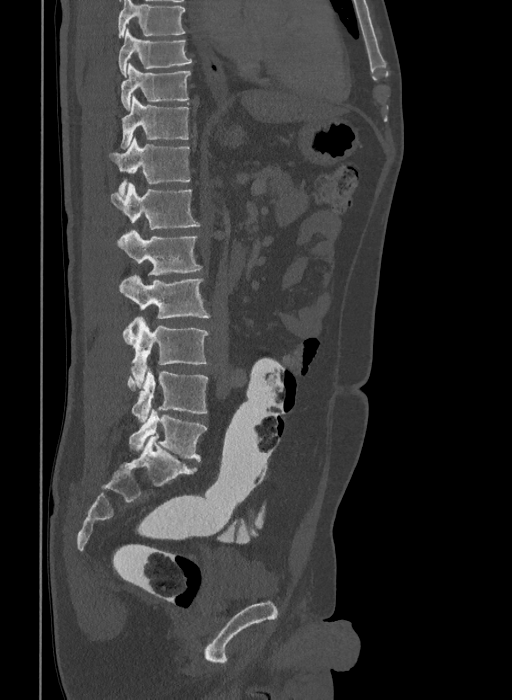
CT, spine. sagittal view. bone-window reconstruction

Boxes below are [x1, y1, x2, y2] in pixels.
Labels in this scan begin with T9 at the top and end with L6 at the bottom.
These labels give the spine a sixth lumbar vertebra, L6, below L5.
{"vertebrae":{"T9":[118,28,192,77],"T10":[121,63,190,111],"T11":[120,96,189,149],"T12":[110,136,190,195],"L1":[111,183,200,229],"L2":[118,230,203,274],"L3":[120,275,209,318],"L4":[123,317,210,388],"L5":[127,370,208,421],"L6":[129,409,207,461]}}